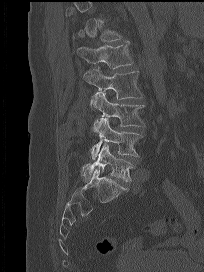
Spine CT. sagittal reformat. 204 mm wide. W/L 1800/400 HU
Boxes are (x1, y1, x2, y2) in pixels. A vertebra is boxed only from the first to the last slice where its cross-section is at least a third of its largest; slices outside that range leave it without a box. Vertebrae labeled: L1 at (77, 41, 133, 68), L2 at (83, 68, 142, 99), L3 at (90, 92, 144, 132), L4 at (89, 117, 143, 159), L5 at (80, 143, 132, 183).